Spine computed tomography; sagittal view; a region is masked with a constant gray value
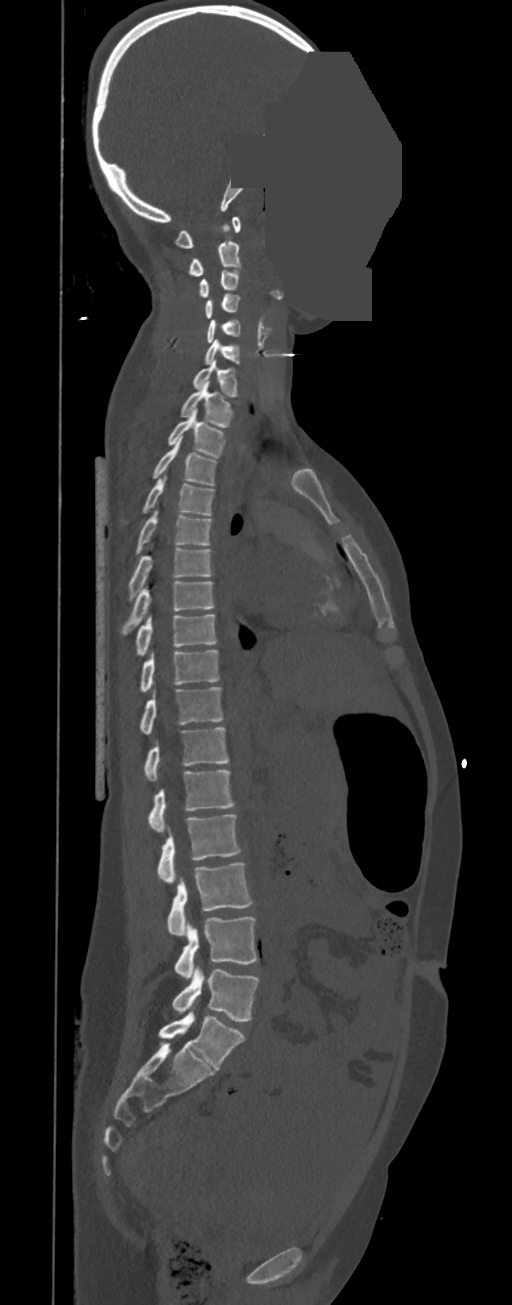 Bounding boxes as [x1, y1, x2, y2] in pixel coordinates.
In these labels the spine has no T12: the thoracic vertebrae end at T11, and L1 comes next.
C1: [174, 216, 240, 248]
C2: [188, 225, 240, 275]
C3: [197, 270, 239, 297]
C4: [205, 294, 240, 318]
C5: [206, 319, 240, 343]
C6: [205, 338, 240, 365]
C7: [191, 359, 237, 397]
T1: [180, 380, 233, 427]
T2: [167, 408, 227, 457]
T3: [152, 436, 217, 486]
T4: [123, 477, 214, 523]
T5: [134, 511, 212, 555]
T6: [128, 544, 212, 599]
T7: [121, 581, 214, 634]
T8: [136, 614, 217, 655]
T9: [140, 649, 220, 690]
T10: [140, 687, 223, 734]
T11: [144, 727, 228, 780]
L1: [149, 769, 234, 832]
L2: [158, 814, 242, 882]
L3: [168, 862, 252, 935]
L4: [175, 916, 258, 979]
L5: [172, 966, 259, 1022]